CT spine; sagittal view; image 430 mm wide; bone window
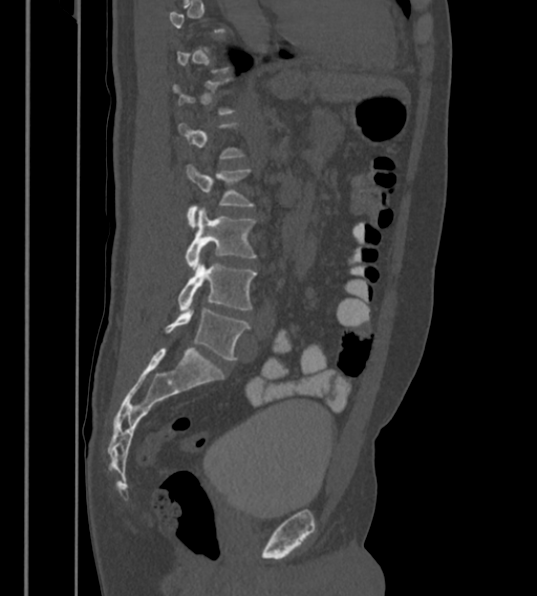 Box edges are left/top/right/bottom in pixels.
Each vertebra is boxed only on the slices from the first to the last where its cross-section reaches a third of its largest, so a slice outside that range leaves it unboxed.
The labels name a sixth lumbar vertebra for this spine: L6, after L5.
L3: left=184, top=165, right=252, bottom=225
L4: left=185, top=207, right=254, bottom=270
L5: left=177, top=257, right=255, bottom=313
L6: left=166, top=300, right=250, bottom=360